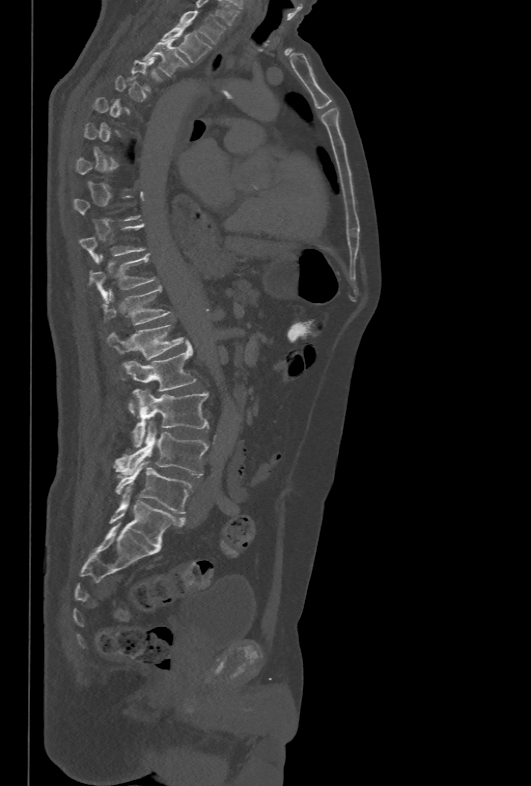 CT, spine · sagittal reformat · 531x786 px

Boxes are (x1, y1, x2, y2) in pixels. Each vertebra is boxed only on the slices from the first to the last where its cross-section reaches a third of its largest, so a slice outside that range leaves it unboxed. 11 vertebrae labeled — T1 at (176, 9, 225, 44); T2 at (160, 26, 212, 63); T3 at (143, 38, 187, 76); T10 at (79, 223, 145, 264); T11 at (90, 254, 157, 303); T12 at (101, 286, 172, 325); L1 at (107, 324, 184, 359); L2 at (123, 340, 197, 412); L3 at (133, 389, 208, 447); L4 at (113, 422, 208, 476); L5 at (115, 459, 192, 513).